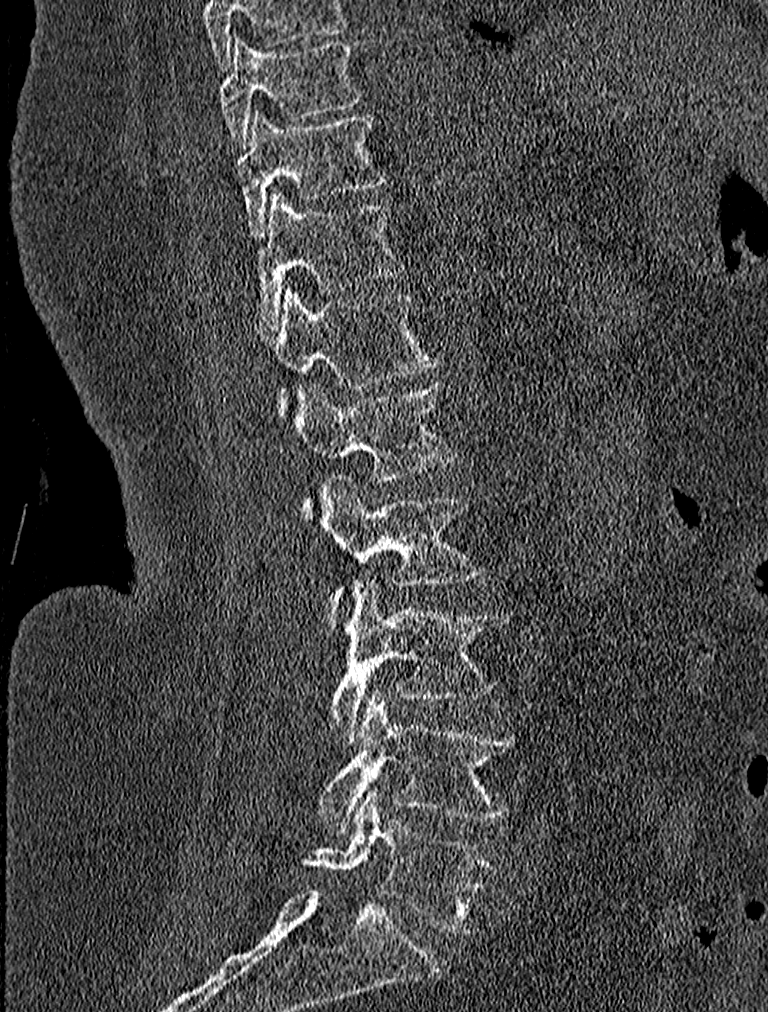

Spine CT. sagittal view
Boxes below are [x1, y1, x2, y2] in pixels.
This scan's labels start at T9 at the top and end at L5 at the bottom.
{"vertebrae":{"T9":[219,35,363,148],"T10":[236,110,387,237],"T11":[254,189,404,331],"T12":[260,285,441,418],"L1":[297,382,458,515],"L2":[324,473,485,629],"L3":[330,577,509,745],"L4":[317,688,518,830],"L5":[303,790,499,932]}}